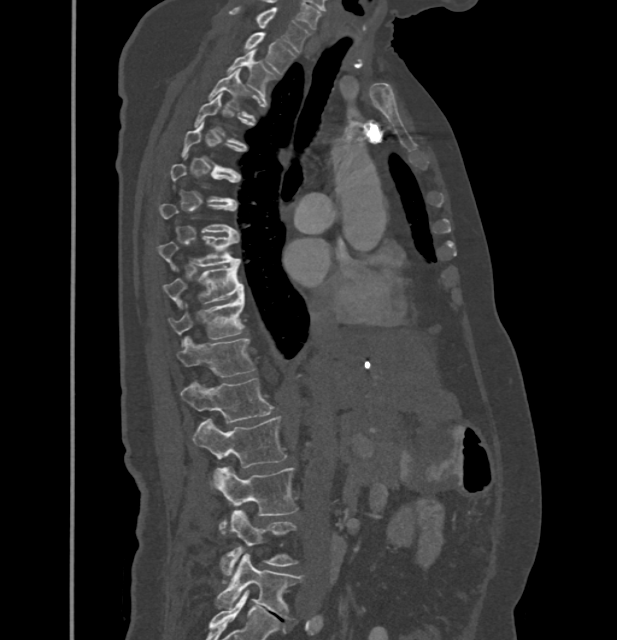 CT, spine; sagittal view; bone window; the image is 432 mm wide

Boxes below are [x1, y1, x2, y2] in pixels.
Each vertebra is boxed only on the slices from the first to the last where its cross-section reaches a third of its largest, so a slice outside that range leaves it unboxed.
In these labels the thoracic vertebrae end at T11, so L1 follows T11.
{"vertebrae":{"L5":[216,553,302,619],"L4":[222,510,296,575],"L3":[210,467,298,528],"L2":[193,416,286,468],"L1":[181,379,273,422],"T11":[178,337,255,376],"T10":[169,296,244,339],"T9":[162,262,244,305],"T8":[157,235,239,266],"T3":[209,70,252,118],"T2":[227,49,273,94],"T1":[245,32,294,74],"C7":[230,7,309,52]}}